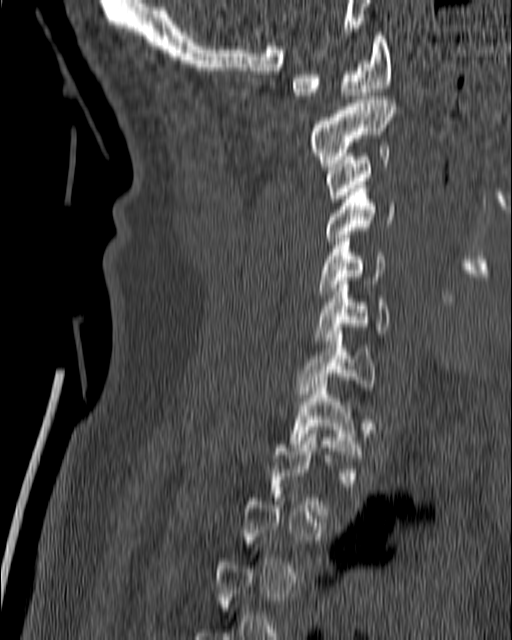
CT spine · sagittal view
Box values are [left, top, right, bottom] in pixels.
Each vertebra is boxed only on the slices from the first to the last where its cross-section reaches a third of its largest, so a slice outside that range leaves it unboxed.
{"vertebrae":{"C1":[291,32,392,99],"C2":[308,96,396,166],"C3":[325,146,390,202],"C4":[314,185,395,244],"C5":[317,238,384,298],"C6":[314,281,391,340],"C7":[297,327,375,401],"T1":[288,377,364,461]}}